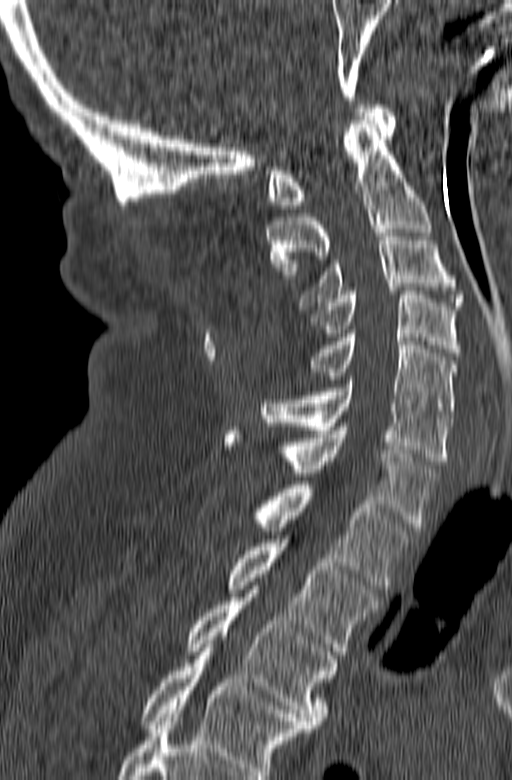

CT spine. sagittal view. 512x780 px
Boxes are (x1, y1, x2, y2) in pixels.
The highest labeled vertebra in this scan is C1; the lowest is T3.
C1: (268, 105, 396, 208)
C2: (267, 120, 431, 278)
C3: (299, 229, 464, 309)
C4: (305, 291, 460, 356)
C5: (302, 334, 456, 418)
C6: (260, 380, 452, 464)
C7: (224, 427, 438, 527)
T1: (252, 481, 413, 589)
T2: (228, 539, 379, 658)
T3: (185, 590, 338, 728)